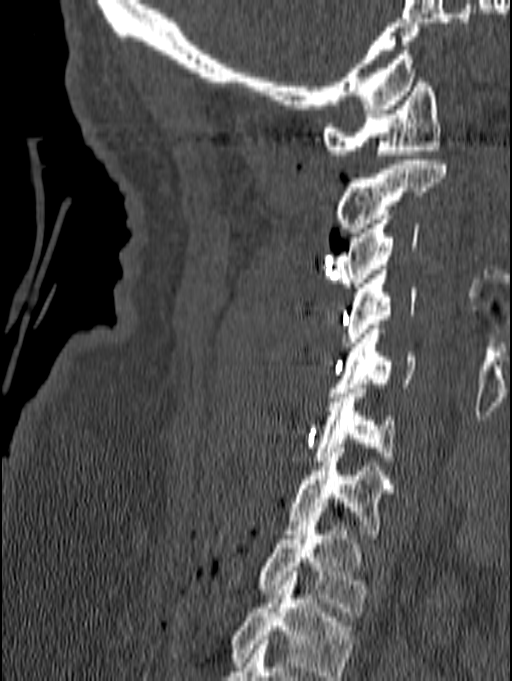 CT; sagittal reformat; 140 mm image width; Bone window (WL 400, WW 1800)
Each box given as x1,y1,x2,y2.
The highest labeled vertebra in this scan is C1; the lowest is T1.
Vertebra bounding boxes:
- C1: x1=322, y1=78, x2=440, y2=159
- C2: x1=334, y1=160, x2=446, y2=237
- C3: x1=337, y1=215, x2=418, y2=287
- C4: x1=342, y1=265, x2=416, y2=346
- C5: x1=330, y1=325, x2=415, y2=397
- C6: x1=314, y1=384, x2=395, y2=461
- C7: x1=284, y1=448, x2=395, y2=538
- T1: x1=257, y1=517, x2=366, y2=616